Spine CT — sagittal reformat — 500 mm wide — W/L 1800/400 HU
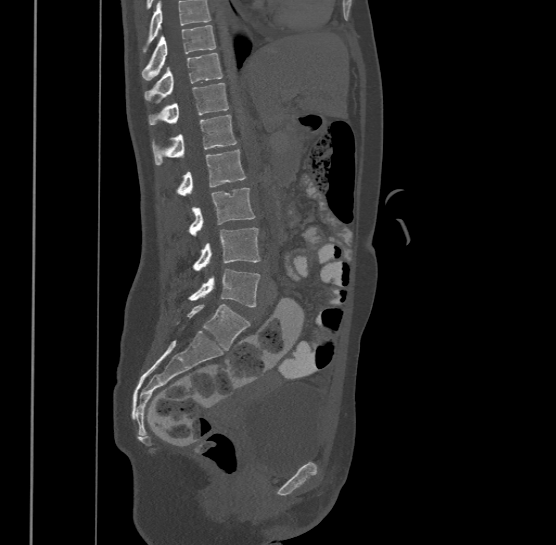

No box is given to a vertebra that the top edge of the scan cuts off.
This scan's labels start at T9 at the top and end at L4 at the bottom.
<vertebrae><v name="T9" x1="141" y1="25" x2="216" y2="79"/><v name="T10" x1="144" y1="52" x2="223" y2="101"/><v name="T11" x1="149" y1="82" x2="229" y2="123"/><v name="T12" x1="152" y1="114" x2="237" y2="164"/><v name="L1" x1="177" y1="150" x2="245" y2="194"/><v name="L2" x1="189" y1="188" x2="255" y2="234"/><v name="L3" x1="193" y1="227" x2="261" y2="270"/><v name="L4" x1="189" y1="268" x2="261" y2="306"/></vertebrae>